CT, spine; sagittal reformat; bone window
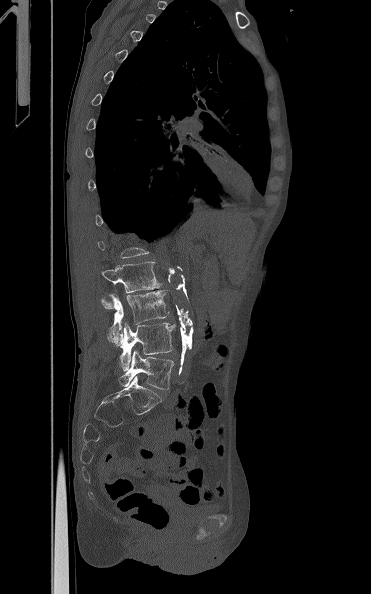 Columns x1, y1, x2, y2 give each box's top-left and bottom-right pixels.
A vertebra gets a box only on the slices from the first to the last where its cross-section is at least a third of its largest; on a slice outside that range it gets none.
| vertebra | x1 | y1 | x2 | y2 |
|---|---|---|---|---|
| L2 | 101 | 261 | 162 | 309 |
| L3 | 107 | 290 | 169 | 345 |
| L4 | 120 | 323 | 175 | 371 |
| L5 | 119 | 350 | 173 | 389 |